CT spine. sagittal reformat. 230x400 px. 14 vertebrae labeled in this scan
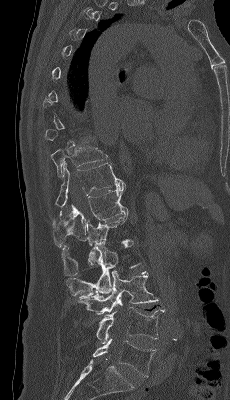

Each row gives a vertebra's box as x1, y1, x2, y2 in pixels: top-left corner, then bottom-right corner.
A vertebra is boxed only from the first to the last slice where its cross-section is at least a third of its largest; slices outside that range leave it without a box.
| vertebra | x1 | y1 | x2 | y2 |
|---|---|---|---|---|
| L5 | 92 | 338 | 156 | 377 |
| L4 | 96 | 307 | 165 | 343 |
| L3 | 78 | 270 | 159 | 314 |
| L2 | 67 | 241 | 140 | 299 |
| L1 | 61 | 214 | 129 | 276 |
| T12 | 52 | 184 | 128 | 248 |
| T11 | 55 | 162 | 125 | 207 |
| T10 | 51 | 145 | 107 | 177 |